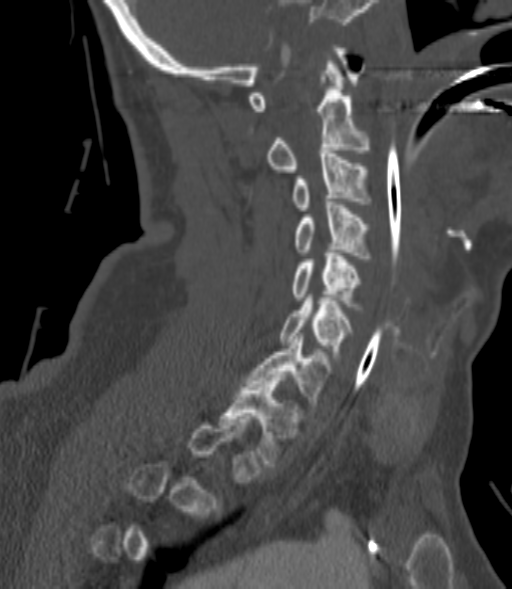

CT, spine · sagittal reformat · Bone window (WL 400, WW 1800) · 512x589 px

Coordinates as <box>x1,y1,x2,y2</box>. A vertebra gets a box only on the slices from the first to the last where its cross-section is at least a third of its largest; on a slice outside that range it gets none. Vertebrae labeled: T1 at <box>221,378,299,466</box>, C7 at <box>247,333,330,405</box>, C6 at <box>280,298,351,357</box>, C5 at <box>293,250,361,306</box>, C4 at <box>295,202,368,261</box>, C3 at <box>293,150,368,210</box>, C2 at <box>267,61,368,172</box>.